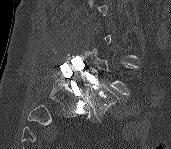
Spine computed tomography. sagittal view. 171 mm image width. Each box given as x1,y1,x2,y2. Not every vertebra on this slice has a box: a vertebra is boxed only from the first to the last slice where its cross-section is at least a third of its largest, and this slice is outside that range for at least one of them. Vertebrae labeled: L4 at x1=87, y1=48, x2=138, y2=95, L5 at x1=83, y1=78, x2=120, y2=119.